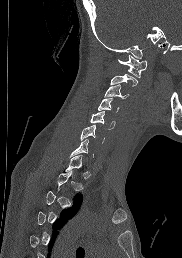
CT spine · sagittal reformat · 182x258 px

Coordinates as <box>x1,y1,x2,y2</box>.
A vertebra gets a box only on the slices from the first to the last where its cross-section is at least a third of its largest; on a slice outside that range it gets none.
C7: <box>70,138,93,156</box>
C6: <box>80,125,104,142</box>
C5: <box>90,111,115,129</box>
C4: <box>98,98,118,111</box>
C3: <box>104,84,128,99</box>
C2: <box>110,74,137,86</box>
C1: <box>117,55,147,77</box>